Spine CT — Sagittal slice 260/512 — W/L 1800/400 HU — scan covers 8 annotated vertebrae
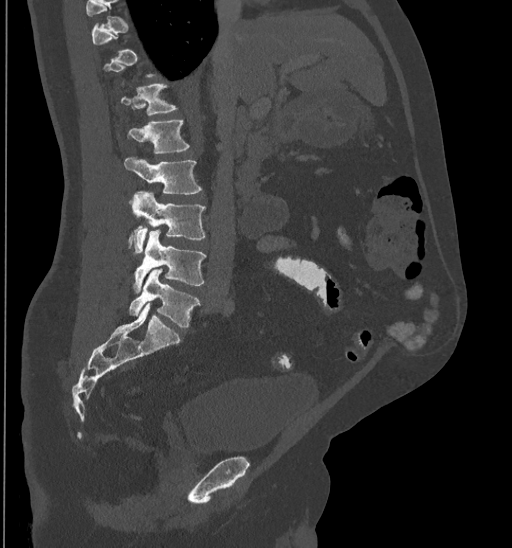 Boxes are given in columns x1, y1, x2, y2, the pixel coordinates of their top-left and bottom-right corners.
Each vertebra is boxed only on the slices from the first to the last where its cross-section reaches a third of its largest, so a slice outside that range leaves it unboxed.
| vertebra | x1 | y1 | x2 | y2 |
|---|---|---|---|---|
| T12 | 120 | 84 | 177 | 114 |
| L1 | 128 | 120 | 190 | 154 |
| L2 | 125 | 157 | 201 | 194 |
| L3 | 128 | 191 | 205 | 255 |
| L4 | 132 | 230 | 206 | 292 |
| L5 | 129 | 269 | 200 | 326 |